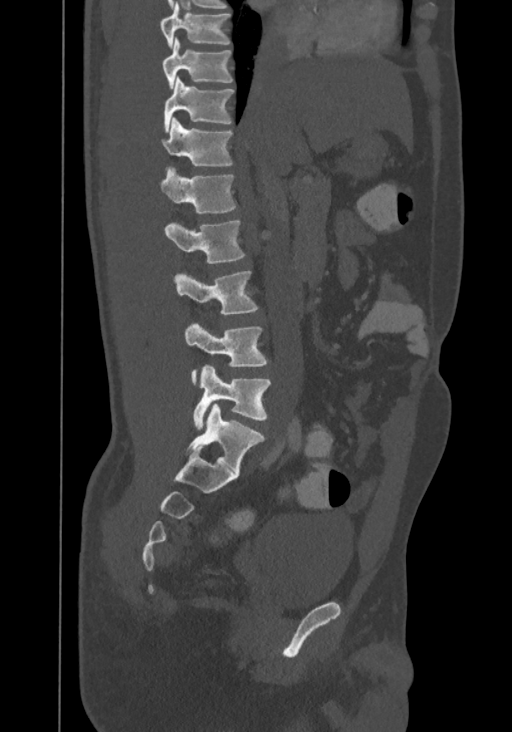

CT spine; sagittal view; 512x732 px
Each box given as x1,y1,x2,y2.
The highest labeled vertebra in this scan is T8; the lowest is L4.
| vertebra | x1 | y1 | x2 | y2 |
|---|---|---|---|---|
| T8 | 160 | 3 | 230 | 48 |
| T9 | 162 | 36 | 233 | 88 |
| T10 | 164 | 77 | 235 | 132 |
| T11 | 162 | 118 | 233 | 166 |
| T12 | 160 | 167 | 236 | 214 |
| L1 | 164 | 220 | 244 | 263 |
| L2 | 174 | 270 | 258 | 314 |
| L3 | 184 | 324 | 268 | 384 |
| L4 | 194 | 365 | 271 | 430 |